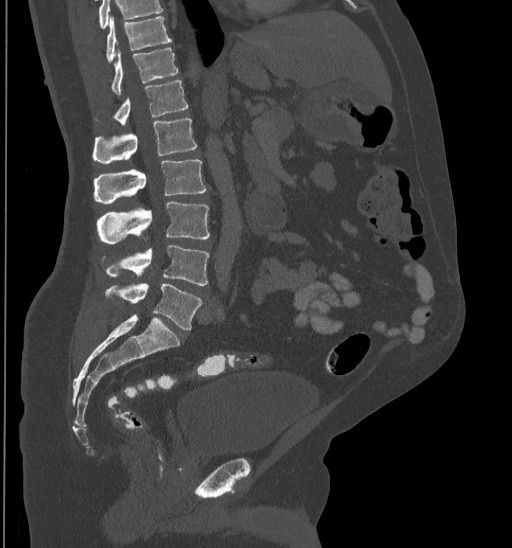

CT spine — sagittal view — 512x548 px. Boxes are (x1, y1, x2, y2) in pixels.
Vertebrae that run past the top of the scan are left unlabeled.
L5: (106, 283, 201, 330)
L4: (106, 246, 208, 285)
L3: (98, 201, 210, 243)
L2: (93, 159, 206, 203)
L1: (93, 119, 197, 163)
T12: (95, 81, 188, 124)
T11: (111, 48, 178, 94)
T10: (106, 16, 172, 63)